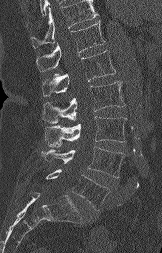

Computed tomography of the spine · sagittal view · bone-window reconstruction · 162x253 px · 162 mm image width. Bounding boxes as [x1, y1, x2, y2] in pixel coordinates. Vertebrae that run past the top of the scan are left unlabeled. The labeled vertebrae in this slice are: L5 at [46, 169, 109, 210], L4 at [41, 146, 124, 177], L3 at [45, 116, 126, 146], L2 at [42, 81, 125, 124], L1 at [42, 51, 115, 97], T12 at [36, 20, 105, 71].